CT spine · sagittal view · 363 mm image width
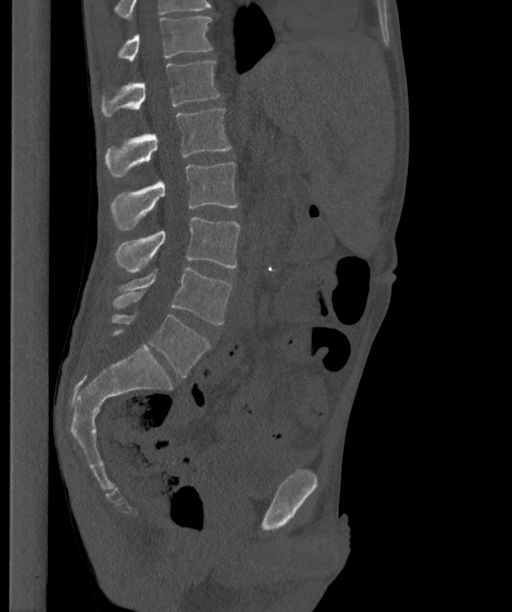

Each box given as x1,y1,x2,y2.
In this scan, the topmost labeled vertebra is T12 and the lowest is L6.
The labels name a sixth lumbar vertebra for this spine: L6, after L5.
T12: x1=117, y1=17, x2=212, y2=61
L1: x1=101, y1=61, x2=219, y2=116
L2: x1=106, y1=108, x2=230, y2=177
L3: x1=111, y1=162, x2=237, y2=230
L4: x1=115, y1=217, x2=240, y2=272
L5: x1=112, y1=268, x2=232, y2=324
L6: x1=111, y1=315, x2=209, y2=377